CT spine. sagittal view. 445 mm image width. 512x511 px
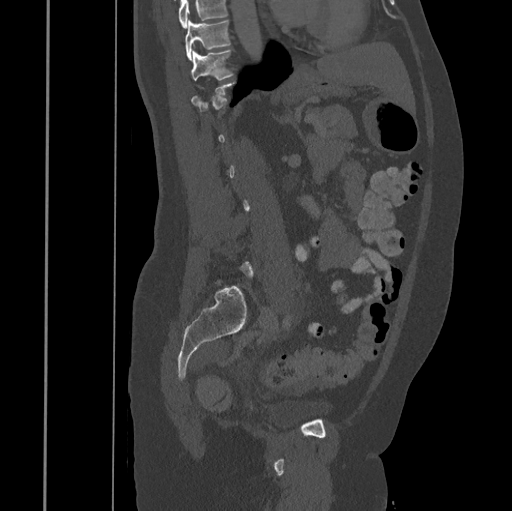

Bounding boxes as [x1, y1, x2, y2] in pixel coordinates. A vertebra is boxed only from the first to the last slice where its cross-section is at least a third of its largest; slices outside that range leave it without a box. Where the top of the scan cuts through a vertebra, that vertebra gets no label or box. The labeled vertebrae in this slice are: T11 at [191, 50, 232, 81], T10 at [185, 20, 229, 60].